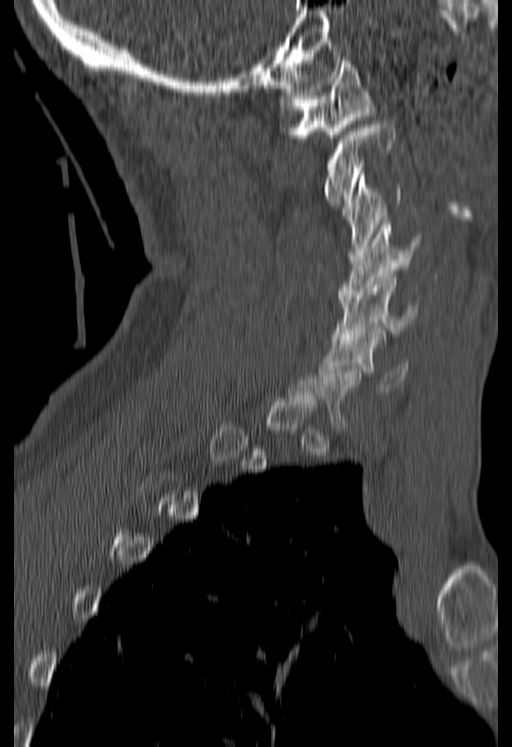

CT. sagittal view. Bone window (WL 400, WW 1800)
Each row gives a vertebra's box as x1, y1, x2, y2 in pixels: top-left corner, then bottom-right corner.
A vertebra gets a box only on the slices from the first to the last where its cross-section is at least a third of its largest; on a slice outside that range it gets none.
| vertebra | x1 | y1 | x2 | y2 |
|---|---|---|---|---|
| C6 | 319 | 331 | 407 | 394 |
| C5 | 332 | 274 | 418 | 340 |
| C4 | 339 | 224 | 421 | 298 |
| C3 | 342 | 171 | 402 | 255 |
| C2 | 325 | 124 | 395 | 205 |
| C1 | 279 | 57 | 373 | 138 |